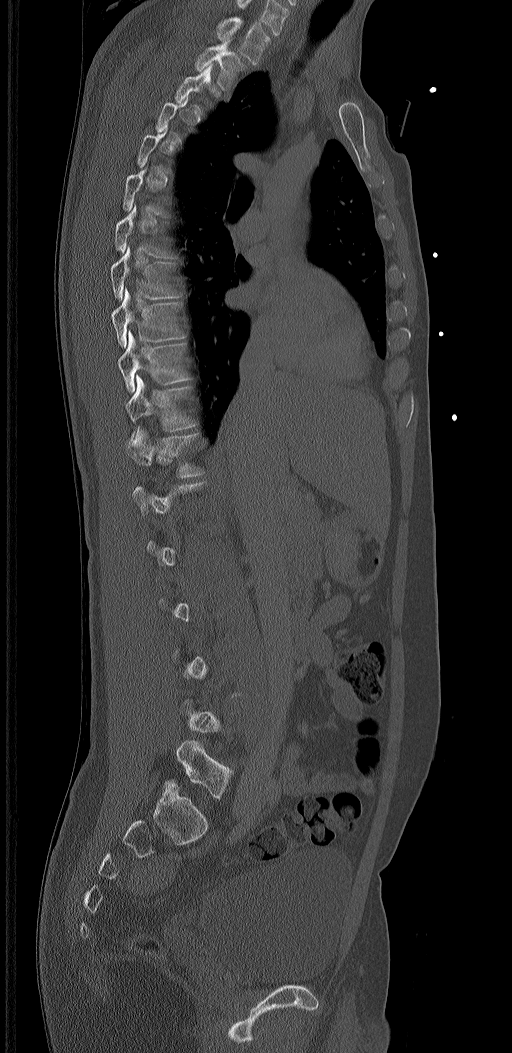
Spine computed tomography · sagittal view · Bone window (WL 400, WW 1800) · 512x1053 px
Each box is [x1, y1, x2, y2] in pixels: top-left corner, then bottom-right corner.
A vertebra gets a box only on the slices from the first to the last where its cross-section is at least a third of its largest; on a slice outside that range it gets none.
In these labels the spine has an L6, a sixth lumbar vertebra below L5.
{"vertebrae":{"L6":[164,740,233,798],"T12":[126,428,204,478],"T11":[125,375,196,443],"T10":[117,331,190,391],"T9":[111,286,185,347],"T8":[111,247,180,299],"T2":[195,39,247,90],"T1":[216,16,270,64]}}